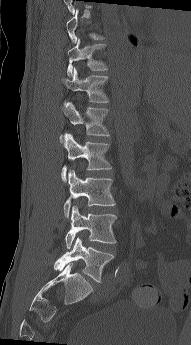

Spine CT; the image is 191 mm wide; sagittal view; Bone window (WL 400, WW 1800)

Each box given as x1,y1,x2,y2.
A vertebra gets a box only on the slices from the first to the last where its cross-section is at least a third of its largest; on a slice outside that range it gets none.
| vertebra | x1 | y1 | x2 | y2 |
|---|---|---|---|---|
| T11 | 67 | 38 | 108 | 77 |
| T12 | 61 | 67 | 109 | 105 |
| L1 | 60 | 101 | 110 | 144 |
| L2 | 61 | 133 | 112 | 182 |
| L3 | 63 | 170 | 115 | 218 |
| L4 | 65 | 206 | 117 | 249 |
| L5 | 54 | 237 | 114 | 282 |